CT · 140 mm across the image · sagittal view · 10 vertebrae labeled in this scan
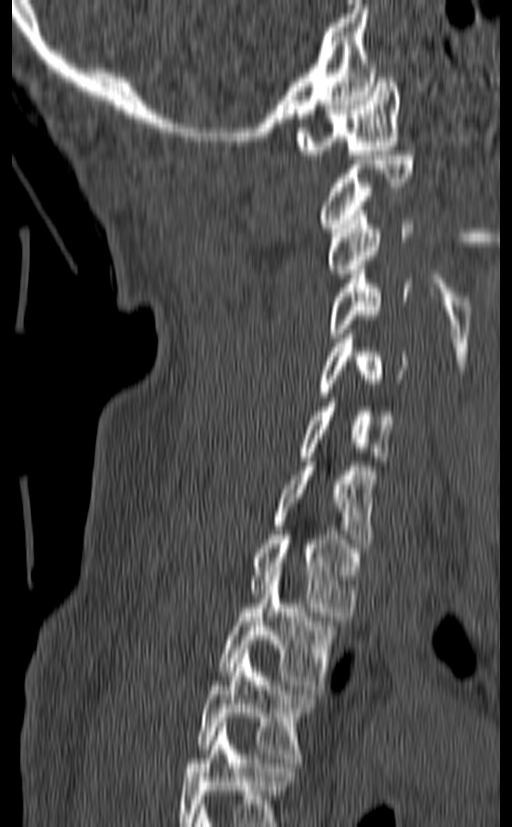
Box edges are left/top/right/bottom in pixels.
This scan's labels start at C1 at the top and end at T3 at the bottom.
T3: left=197, top=649, right=315, bottom=762
T2: left=217, top=571, right=338, bottom=689
T1: left=250, top=530, right=360, bottom=616
C7: left=273, top=457, right=377, bottom=548
C6: left=298, top=398, right=395, bottom=461
C5: left=320, top=334, right=409, bottom=397
C4: left=327, top=270, right=411, bottom=342
C3: left=327, top=210, right=414, bottom=273
C2: left=320, top=151, right=414, bottom=232
C1: left=296, top=73, right=400, bottom=159